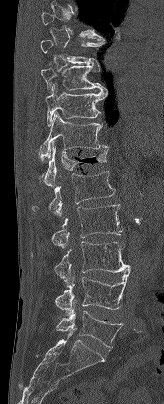 Spine computed tomography · sagittal view · Bone window (WL 400, WW 1800)
Boxes: x1 y1 x2 y2 (pixel coords, space-separated).
A vertebra gets a box only on the slices from the first to the last where its cross-section is at least a third of its largest; on a slice outside that range it gets none.
Vertebra bounding boxes:
- L5: 56 309 123 348
- L4: 55 268 130 315
- L3: 31 241 131 284
- L2: 51 204 121 248
- L1: 31 171 115 215
- T12: 41 141 108 186
- T11: 39 112 108 160
- T10: 45 84 107 126
- T9: 40 64 106 91
- T8: 40 40 104 64